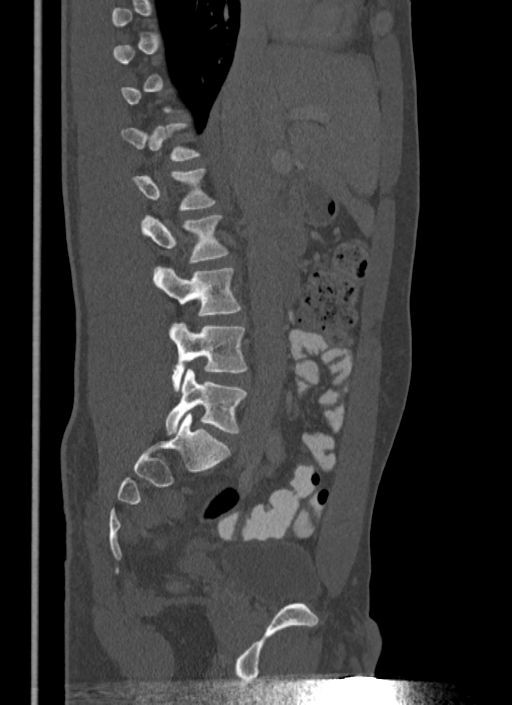 CT; sagittal view; 340 mm across the image; 512x705 px
A vertebra is boxed only from the first to the last slice where its cross-section is at least a third of its largest; slices outside that range leave it without a box.
<vertebrae><v name="L1" x1="132" y1="169" x2="216" y2="210"/><v name="L2" x1="141" y1="214" x2="228" y2="263"/><v name="L3" x1="153" y1="267" x2="241" y2="315"/><v name="L4" x1="168" y1="322" x2="247" y2="391"/><v name="L5" x1="165" y1="369" x2="247" y2="434"/></vertebrae>